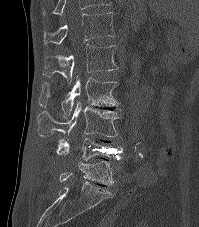 CT spine; sagittal view; W/L 1800/400 HU; 199x227 px
In this scan, the topmost labeled vertebra is T12 and the lowest is L5.
<vertebrae><v name="T12" x1="43" y1="12" x2="115" y2="46"/><v name="L1" x1="43" y1="44" x2="118" y2="83"/><v name="L2" x1="39" y1="76" x2="118" y2="117"/><v name="L3" x1="38" y1="101" x2="121" y2="137"/><v name="L4" x1="56" y1="137" x2="123" y2="162"/><v name="L5" x1="59" y1="161" x2="114" y2="185"/></vertebrae>